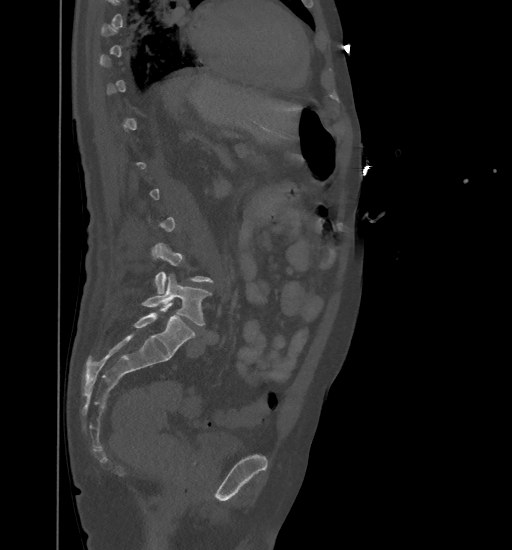
CT, spine; sagittal view; the image spans 461 mm across

Bounding boxes as [x1, y1, x2, y2] in pixel coordinates.
Not every vertebra on this slice has a box: a vertebra is boxed only from the first to the last slice where its cross-section is at least a third of its largest, and this slice is outside that range for at least one of them.
L4: [153, 242, 213, 293]
L5: [141, 274, 212, 326]